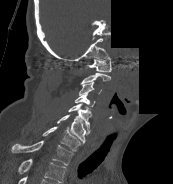

Spine CT; sagittal view; bone window; 173x184 px; 173 mm image width; some of the image was removed or blocked out with constant pixels

Boxes: x1 y1 x2 y2 (pixel coords, space-separated). The highest labeled vertebra in this scan is C1; the lowest is T1. Vertebrae labeled: C1 at 87 57 111 71, C2 at 80 73 111 84, C3 at 78 82 102 95, C4 at 75 93 95 106, C5 at 68 103 91 131, C6 at 57 114 89 143, C7 at 42 126 81 151, T1 at 11 140 73 165.